Spine CT. sagittal view. image 377 mm wide. W/L 1800/400 HU. 512x591 px
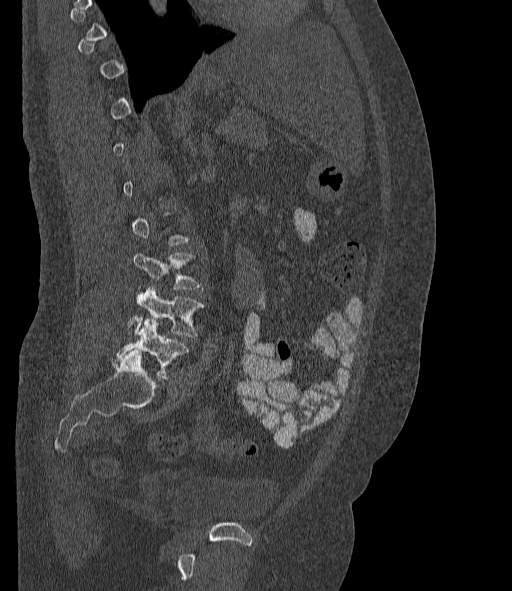 Each box given as x1,y1,x2,y2.
A vertebra gets a box only on the slices from the first to the last where its cross-section is at least a third of its largest; on a slice outside that range it gets none.
In these labels the spine has an L6, a sixth lumbar vertebra below L5.
L4: x1=133, y1=253, x2=200, y2=288
L5: x1=127, y1=287, x2=204, y2=336
L6: x1=113, y1=319, x2=188, y2=379